Computed tomography of the spine; sagittal reformat
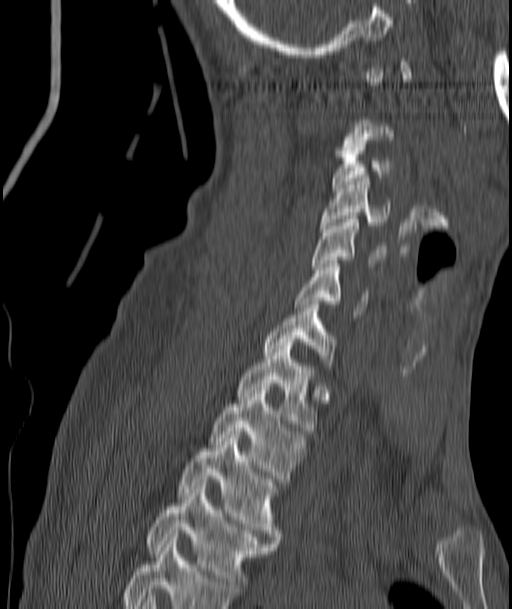 Each vertebra maps to its box as [x1, y1, x2, y2], the pixel coordinates of its top-left and bottom-right corners.
Each vertebra is boxed only on the slices from the first to the last where its cross-section reaches a third of its largest, so a slice outside that range leaves it unboxed.
{"vertebrae":{"C3":[332,147,389,191],"C4":[321,178,389,228],"C5":[313,216,386,269],"C6":[294,264,367,314],"C7":[264,301,334,369],"T1":[236,339,315,430],"T2":[212,387,304,482],"T3":[179,431,279,543],"T4":[146,486,274,591]}}